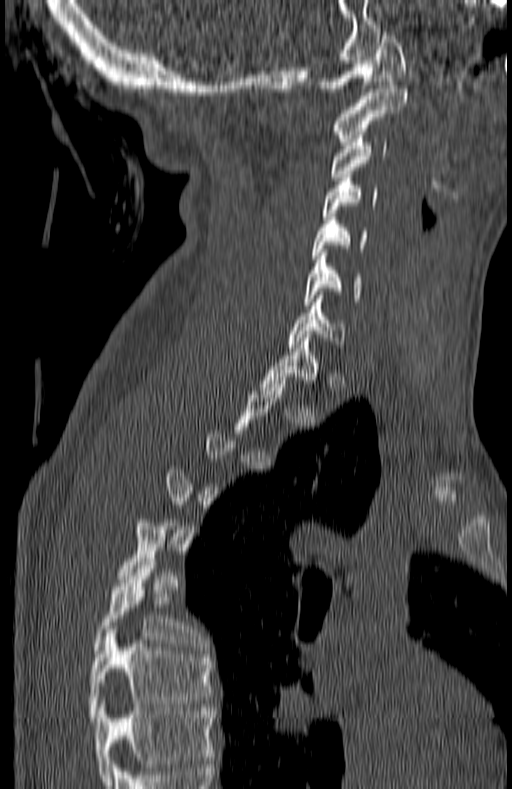 Spine computed tomography · sagittal view · bone-window reconstruction
Bounding boxes as [x1, y1, x2, y2] in pixel coordinates.
A vertebra gets a box only on the slices from the first to the last where its cross-section is at least a third of its largest; on a slice outside that range it gets none.
In this scan, the topmost labeled vertebra is C1 and the lowest is T7.
Vertebra bounding boxes:
- C1: [316, 28, 407, 91]
- C2: [334, 85, 407, 141]
- C3: [331, 135, 387, 180]
- C4: [322, 174, 378, 219]
- C5: [311, 217, 367, 259]
- C6: [302, 249, 361, 305]
- C7: [288, 299, 344, 347]
- T1: [263, 334, 318, 387]
- T6: [92, 558, 204, 653]
- T7: [89, 626, 212, 721]